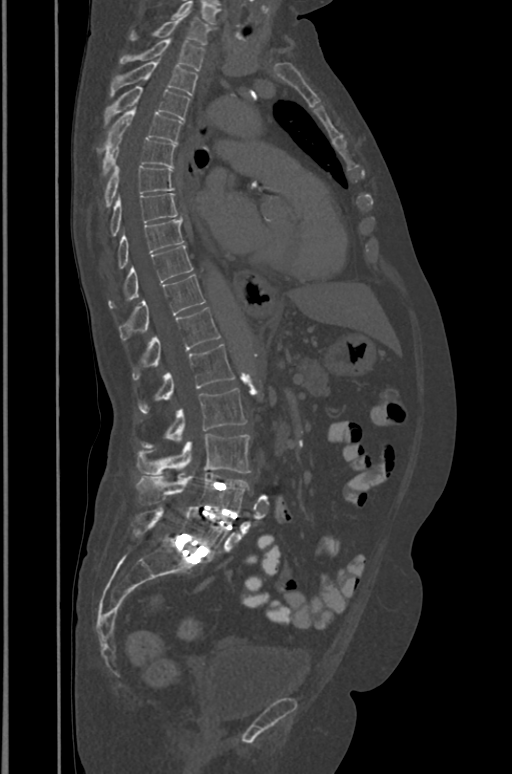 CT spine · sagittal view

Each vertebra maps to its box as [x1, y1, x2, y2], the pixel coordinates of its top-left and bottom-right corners.
This scan's labels start at T1 at the top and end at L5 at the bottom.
{"vertebrae":{"L5":[131,505,228,558],"L4":[136,473,248,512],"L3":[137,434,249,477],"L2":[143,389,245,448],"L1":[139,344,235,412],"T12":[132,307,220,379],"T11":[119,275,205,341],"T10":[109,245,193,307],"T9":[118,219,184,268],"T8":[110,193,177,236],"T7":[105,166,173,206],"T6":[103,134,176,174],"T5":[98,107,182,152],"T4":[105,86,190,123],"T3":[110,61,198,95],"T2":[119,39,205,70],"T1":[130,14,211,44]}}